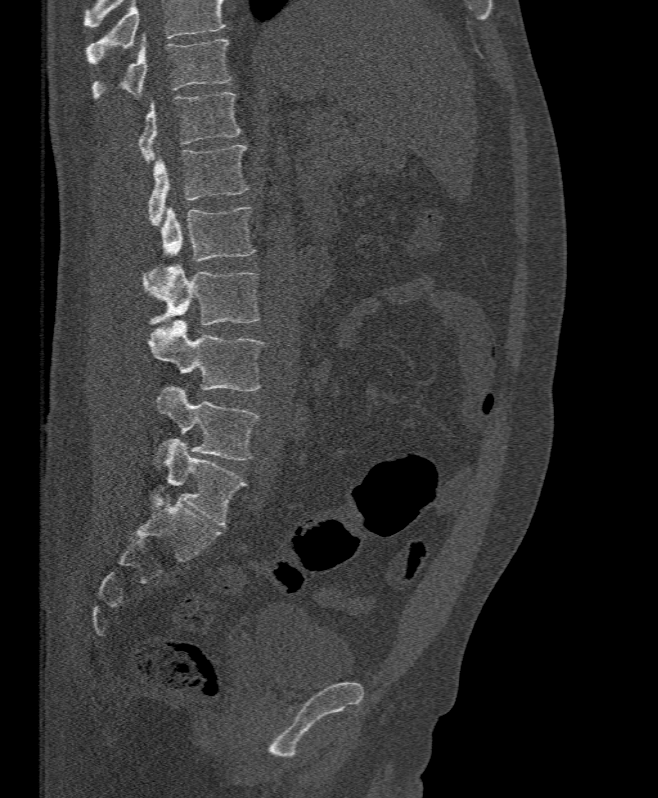

Spine CT; sagittal view
Vertebrae that run past the top of the scan are left unlabeled.
<vertebrae><v name="T11" x1="91" y1="33" x2="230" y2="99"/><v name="T12" x1="138" y1="92" x2="241" y2="162"/><v name="L1" x1="148" y1="145" x2="248" y2="226"/><v name="L2" x1="149" y1="207" x2="255" y2="279"/><v name="L3" x1="143" y1="263" x2="259" y2="324"/><v name="L4" x1="147" y1="320" x2="264" y2="391"/><v name="L5" x1="157" y1="385" x2="259" y2="459"/></vertebrae>